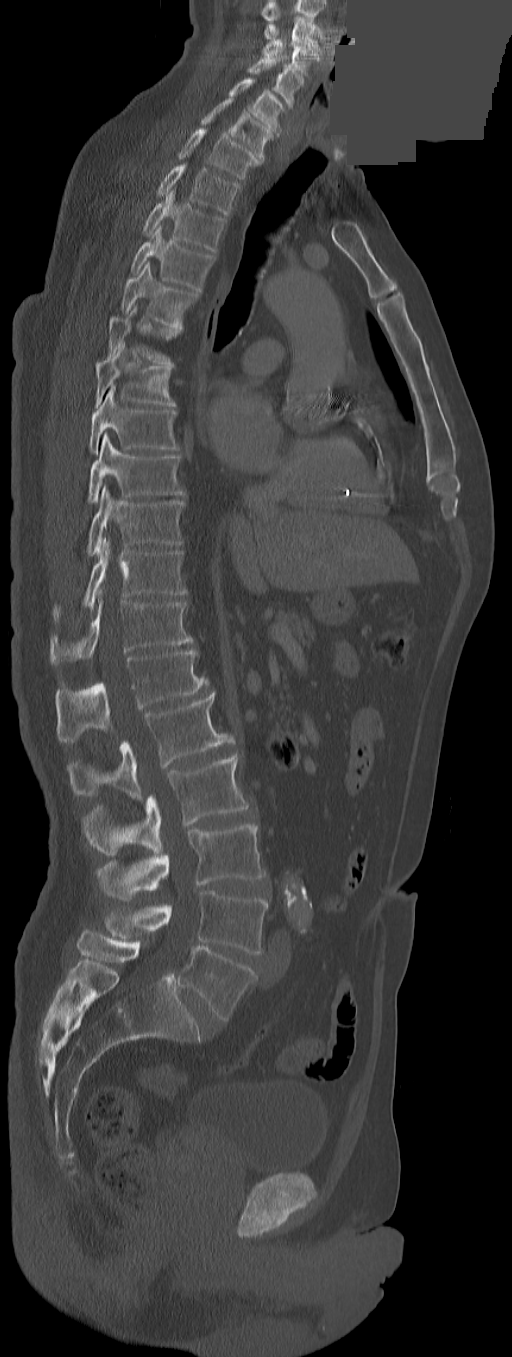

CT, spine; sagittal view; W/L 1800/400 HU; 291 mm image width; 512x1357 px; a portion of the image is blanked out (constant pixel value). Boxes: x1 y1 x2 y2 (pixel coords, space-separated).
In these labels the spine has a T13, a thirteenth thoracic vertebra, between T12 and L1.
C3: 264 17 319 51
C4: 262 39 319 76
C5: 248 56 304 107
C6: 229 78 284 135
C7: 201 98 273 162
T1: 178 128 261 179
T2: 157 164 240 214
T3: 142 188 225 251
T4: 131 225 214 292
T5: 120 261 198 329
T6: 108 304 181 367
T7: 95 342 175 406
T8: 88 386 179 453
T9: 87 433 184 503
T10: 87 486 184 556
T11: 53 539 186 622
T12: 50 599 193 665
T13: 55 650 209 742
L1: 67 690 228 798
L2: 81 754 249 855
L3: 95 824 265 899
L4: 104 891 269 953
L5: 178 946 256 1020